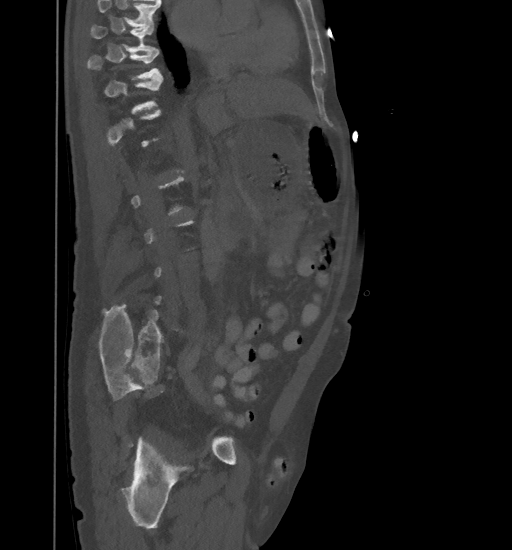 CT — 461 mm wide — sagittal reformat
A vertebra gets a box only on the slices from the first to the last where its cross-section is at least a third of its largest; on a slice outside that range it gets none.
No box is given to a vertebra that the top edge of the scan cuts off.
<vertebrae><v name="T9" x1="90" y1="26" x2="156" y2="51"/><v name="T10" x1="87" y1="49" x2="162" y2="79"/></vertebrae>